Computed tomography of the spine · sagittal view
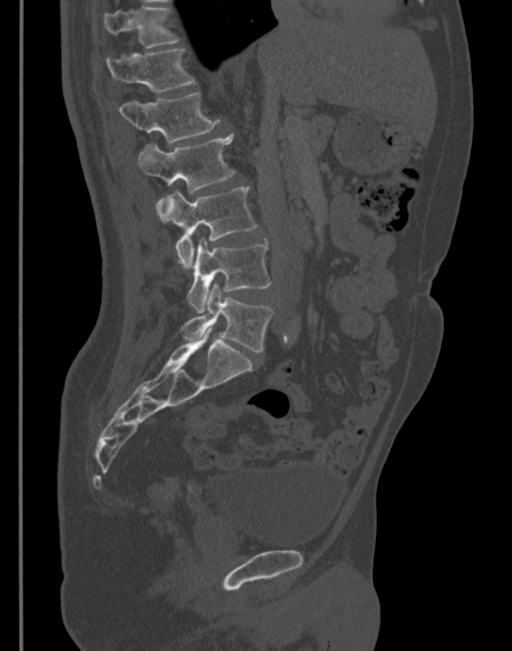 Boxes are (x1, y1, x2, y2) in pixels.
Vertebra bounding boxes:
- T11: (104, 7, 178, 48)
- T12: (107, 49, 195, 92)
- L1: (118, 93, 218, 143)
- L2: (138, 133, 235, 210)
- L3: (157, 188, 257, 269)
- L4: (187, 239, 270, 312)
- L5: (181, 283, 273, 352)